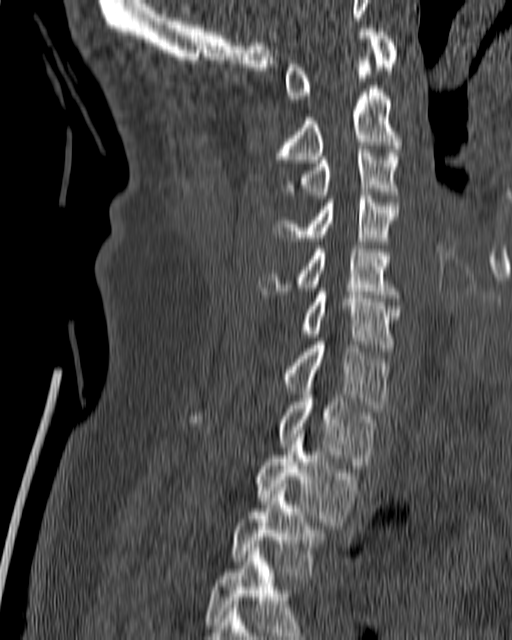

CT, spine; sagittal view; W/L 1800/400 HU

Boxes: x1 y1 x2 y2 (pixel coords, space-separated).
C1: 285 25 397 102
C2: 277 53 401 163
C3: 273 149 399 198
C4: 274 192 399 244
C5: 258 245 401 301
C6: 300 288 401 347
C7: 283 341 390 411
T1: 190 391 375 465
T2: 257 430 355 525
T3: 231 484 324 575
T4: 205 544 310 639